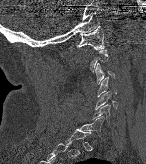

Spine computed tomography — sagittal view — 146x164 px
Not every vertebra on this slice has a box: a vertebra is boxed only from the first to the last slice where its cross-section is at least a third of its largest, and this slice is outside that range for at least one of them.
<vertebrae><v name="C1" x1="78" y1="26" x2="104" y2="50"/><v name="C3" x1="95" y1="63" x2="114" y2="83"/><v name="C4" x1="98" y1="77" x2="116" y2="96"/><v name="C5" x1="95" y1="91" x2="116" y2="109"/><v name="C6" x1="92" y1="104" x2="110" y2="122"/><v name="C7" x1="80" y1="117" x2="102" y2="135"/></vertebrae>